CT spine — sagittal plane, index 144
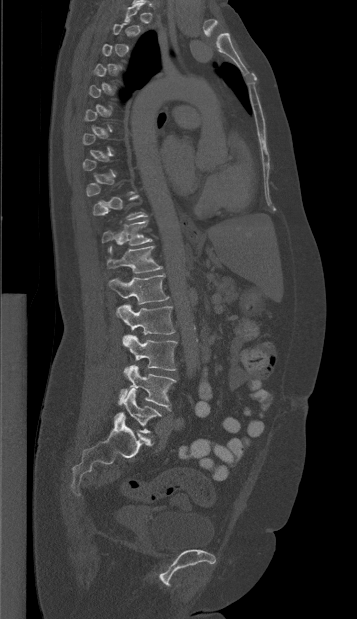

Not every vertebra on this slice has a box: a vertebra is boxed only from the first to the last slice where its cross-section is at least a third of its largest, and this slice is outside that range for at least one of them.
<vertebrae><v name="T11" x1="102" y1="220" x2="152" y2="245"/><v name="T12" x1="106" y1="246" x2="162" y2="273"/><v name="L1" x1="108" y1="274" x2="168" y2="304"/><v name="L2" x1="116" y1="304" x2="175" y2="334"/><v name="L3" x1="122" y1="334" x2="177" y2="373"/><v name="L4" x1="118" y1="365" x2="176" y2="410"/><v name="L5" x1="114" y1="388" x2="161" y2="433"/></vertebrae>